Spine CT — Sagittal slice 284/512 — 512x880 px
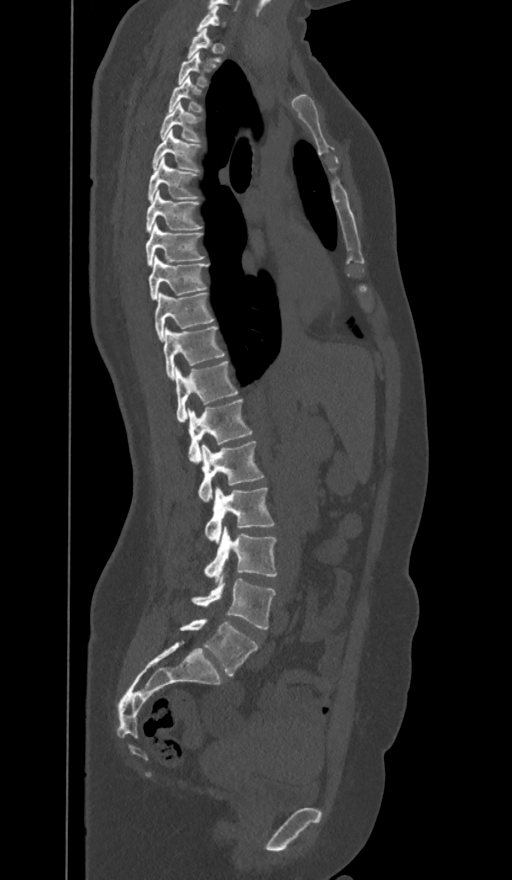 Boxes are (x1, y1, x2, y2) in pixels. In these labels the spine has an L6, a sixth lumbar vertebra below L5. The labeled vertebrae in this slice are: C7 at (197, 5, 223, 31), T1 at (186, 28, 221, 62), T2 at (178, 52, 208, 86), T3 at (168, 76, 203, 112), T4 at (159, 102, 201, 141), T5 at (152, 129, 201, 170), T6 at (148, 158, 199, 201), T7 at (145, 190, 203, 233), T8 at (145, 223, 204, 265), T9 at (149, 258, 208, 300), T10 at (155, 292, 214, 340), T11 at (163, 327, 225, 380), T12 at (175, 361, 238, 422), L1 at (189, 399, 252, 461), L2 at (198, 440, 264, 500), L3 at (205, 487, 274, 542), L4 at (204, 526, 277, 579), L5 at (191, 579, 275, 630), L6 at (179, 619, 258, 677).